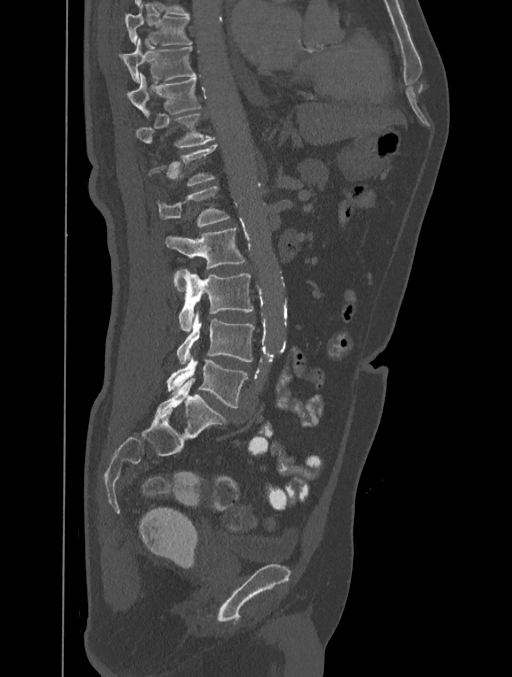

CT, spine — the image spans 401 mm across — sagittal view — W/L 1800/400 HU — 512x677 px. Boxes: x1:y1:x2:y2 in pixels.
A vertebra is boxed only from the first to the last slice where its cross-section is at least a third of its largest; slices outside that range leave it without a box.
Vertebra bounding boxes:
- T8: 125:6:192:45
- T9: 120:38:195:82
- T10: 126:72:201:116
- T11: 135:114:215:147
- L1: 157:186:230:227
- L2: 165:228:245:290
- L3: 179:270:253:331
- L4: 176:311:254:364
- L5: 167:356:248:408